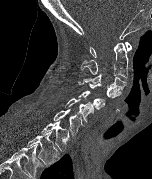 Spine CT. sagittal view. 152 mm image width. 152x179 px
Coordinates as <box>x1,y1,x2,y2</box>.
Labels in this scan begin with C1 at the top and end with T2 at the bottom.
C1: <box>90,42,131,57</box>
C2: <box>80,42,128,78</box>
C3: <box>83,74,126,90</box>
C4: <box>78,81,121,98</box>
C5: <box>79,90,105,109</box>
C6: <box>65,98,94,122</box>
C7: <box>53,108,84,135</box>
T1: <box>40,120,69,151</box>
T2: <box>27,131,59,164</box>